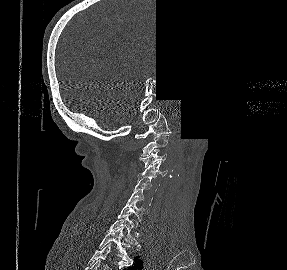

Spine computed tomography · sagittal view · bone window · a portion of the image is blanked out (constant pixel value)
Each box given as x1,y1,x2,y2.
C1: x1=135, y1=112, x2=171, y2=138
C2: x1=141, y1=134, x2=169, y2=156
C3: x1=139, y1=149, x2=166, y2=168
C4: x1=137, y1=161, x2=168, y2=179
C5: x1=133, y1=176, x2=159, y2=191
C6: x1=126, y1=188, x2=153, y2=208
C7: x1=117, y1=197, x2=144, y2=222
T1: x1=106, y1=213, x2=141, y2=248
T2: x1=98, y1=227, x2=132, y2=265